CT; sagittal view; bone window; 153 mm wide
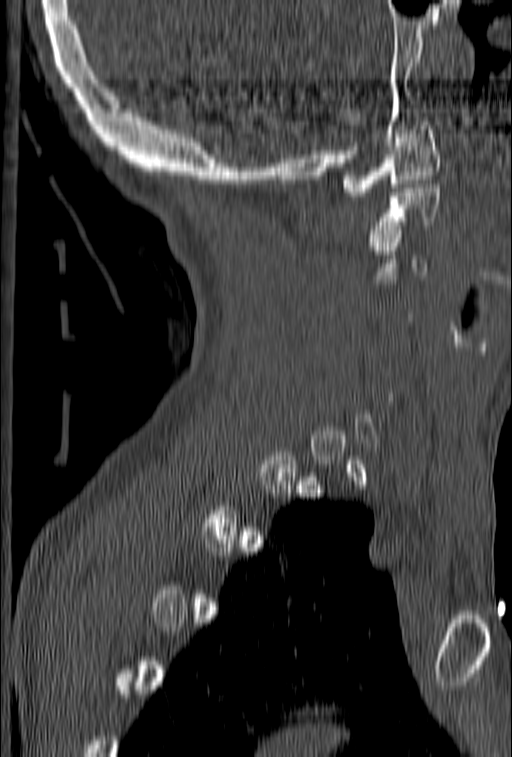 Box edges are left/top/right/bottom in pixels.
Not every vertebra on this slice has a box: a vertebra is boxed only from the first to the last slice where its cross-section is at least a third of its largest, and this slice is outside that range for at least one of them.
C2: left=369, top=184, right=439, bottom=250
C1: left=339, top=121, right=441, bottom=196